Spine CT; sagittal view; Bone window (WL 400, WW 1800); 18 vertebrae labeled in this scan; 350 mm across the image
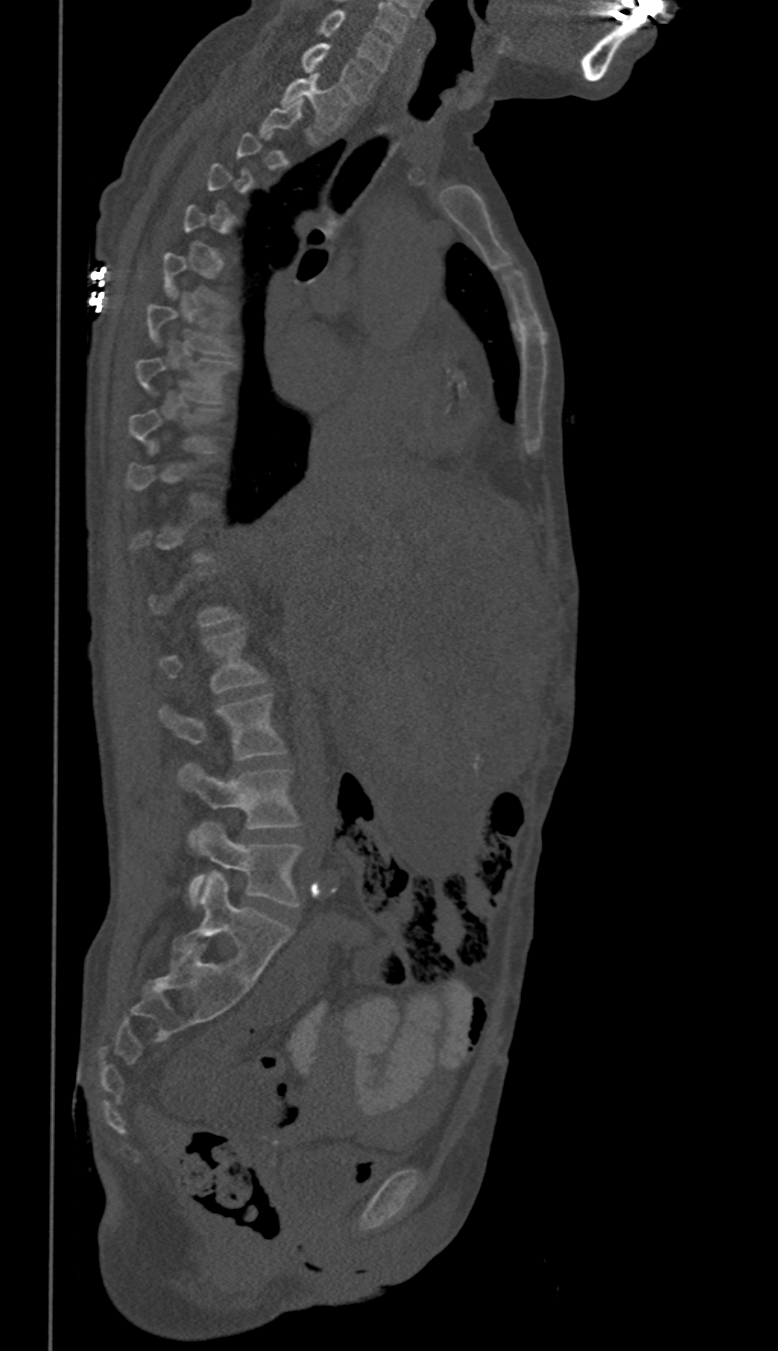 Bounding boxes as [x1, y1, x2, y2] in pixel coordinates. Not every vertebra on this slice has a box: a vertebra is boxed only from the first to the last slice where its cross-section is at least a third of its largest, and this slice is outside that range for at least one of them. 8 vertebrae labeled — C6 at [319, 9, 392, 71]; C7 at [302, 43, 376, 102]; T1 at [281, 74, 350, 131]; T8 at [135, 358, 231, 402]; L2 at [160, 629, 265, 693]; L3 at [160, 694, 285, 759]; L4 at [178, 763, 298, 828]; L5 at [188, 823, 301, 906].